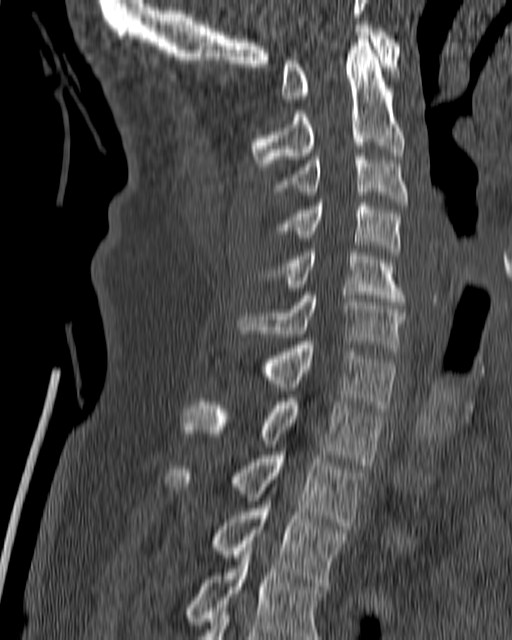
CT, spine · sagittal view
Each vertebra maps to its box as [x1, y1, x2, y2], the pixel coordinates of its top-left and bottom-right corners.
{"vertebrae":{"C1":[281,25,400,102],"C2":[251,36,404,166],"C3":[271,153,408,205],"C4":[279,203,401,255],"C5":[268,249,406,305],"C6":[237,292,407,351],"C7":[260,341,398,411],"T1":[183,398,384,465],"T2":[165,452,367,525],"T3":[209,498,347,586],"T4":[186,544,324,639]}}